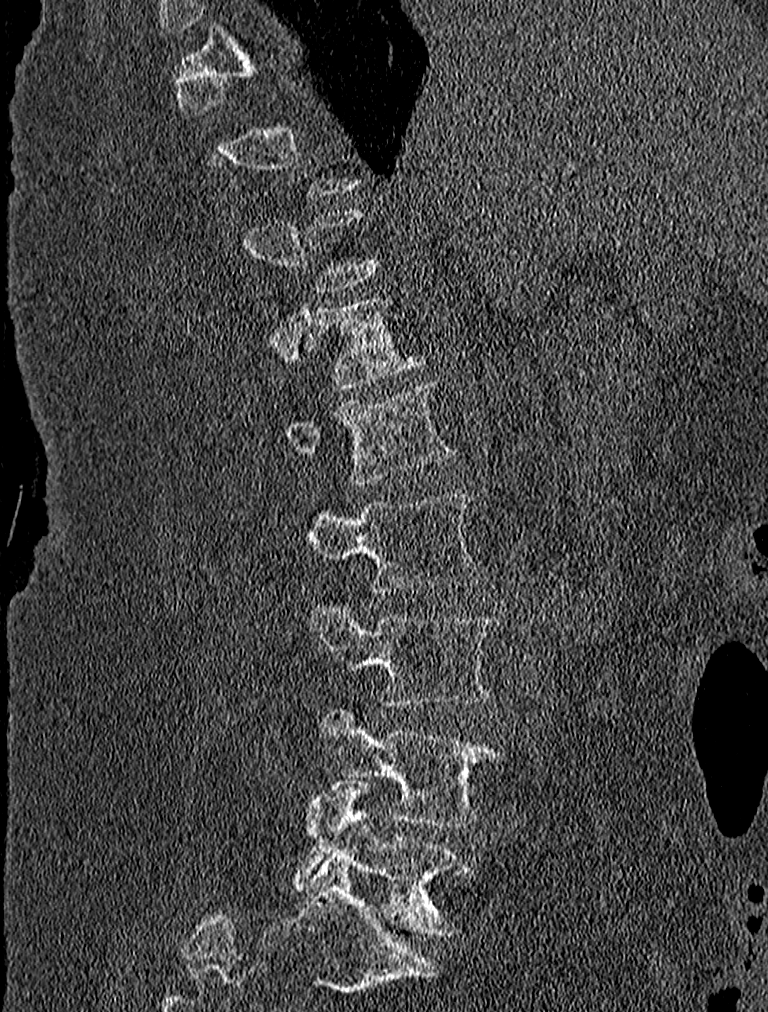 CT — the image spans 227 mm across — sagittal view

Bounding boxes as [x1, y1, x2, y2] in pixel coordinates.
A vertebra is boxed only from the first to the last slice where its cross-section is at least a third of its largest; slices outside that range leave it without a box.
T12: [302, 294, 424, 389]
L1: [286, 379, 455, 483]
L2: [307, 495, 485, 593]
L3: [307, 601, 499, 708]
L4: [317, 709, 503, 826]
L5: [296, 778, 471, 934]